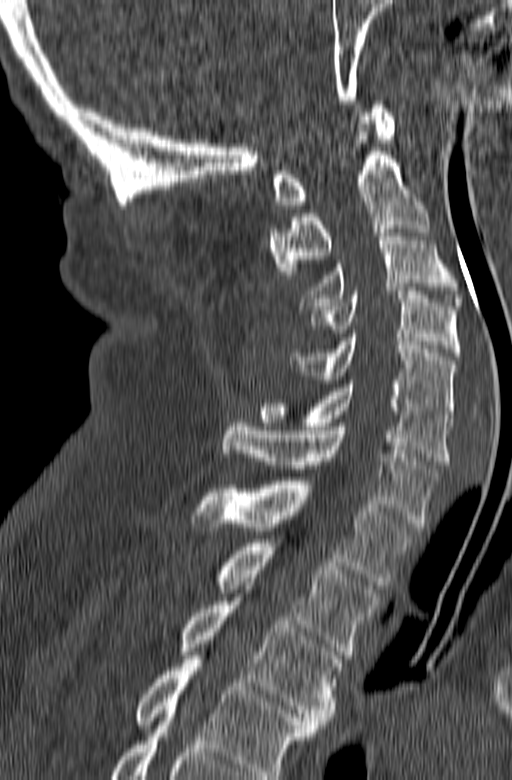 CT, spine. sagittal view
Boxes are (x1, y1, x2, y2) in pixels.
In this scan, the topmost labeled vertebra is C1 and the lowest is T3.
Vertebra bounding boxes:
- C1: (272, 101, 394, 205)
- C2: (268, 120, 430, 274)
- C3: (299, 229, 463, 309)
- C4: (308, 291, 461, 356)
- C5: (290, 334, 456, 418)
- C6: (259, 380, 452, 464)
- C7: (221, 419, 438, 527)
- T1: (191, 477, 416, 585)
- T2: (218, 539, 379, 658)
- T3: (180, 597, 342, 728)